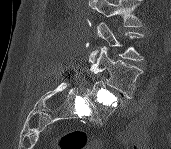

CT spine. sagittal view. 171 mm across the image. W/L 1800/400 HU

Each box given as x1,y1,x2,y2.
Where the top of the scan cuts through a vertebra, that vertebra gets no label or box.
Vertebra bounding boxes:
- L3: x1=89, y1=22, x2=143, y2=63
- L4: x1=90, y1=46, x2=143, y2=98
- L5: x1=85, y1=81, x2=122, y2=123